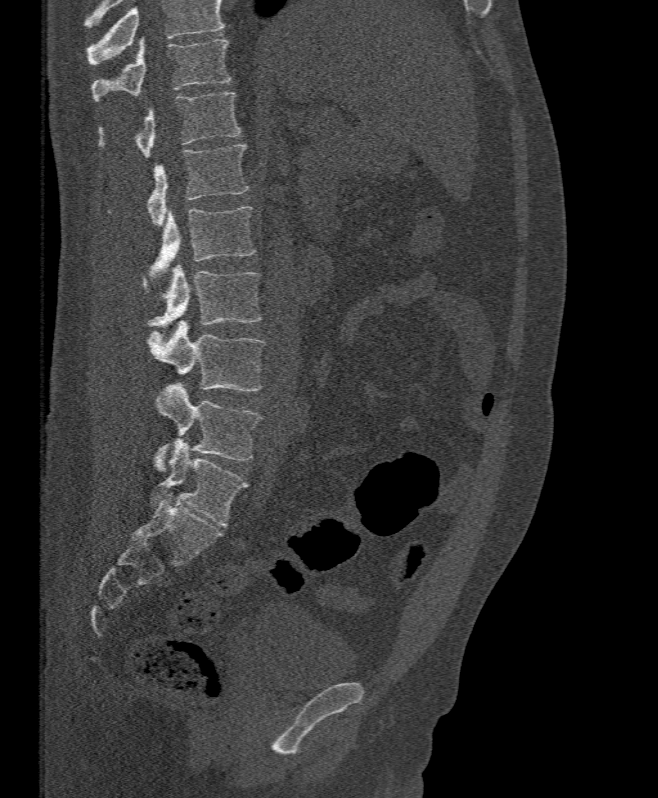

Spine CT; sagittal reformat; 395 mm wide

Boxes: x1 y1 x2 y2 (pixel coords, space-separated). No box is given to a vertebra that the top edge of the scan cuts off. 7 vertebrae labeled — T11 at 91 38 230 101; T12 at 96 92 242 157; L1 at 108 143 248 226; L2 at 148 207 255 291; L3 at 143 263 263 328; L4 at 145 320 265 391; L5 at 152 383 263 471.